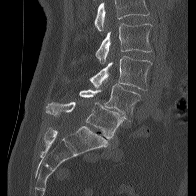
CT spine — sagittal view — bone-window reconstruction
Each box given as x1,y1,x2,y2.
No box is given to a vertebra that the top edge of the scan cuts off.
Vertebra bounding boxes:
- L2: x1=95, y1=23, x2=152, y2=64
- L3: x1=89, y1=56, x2=152, y2=90
- L4: x1=79, y1=83, x2=140, y2=121
- L5: x1=45, y1=102, x2=123, y2=138